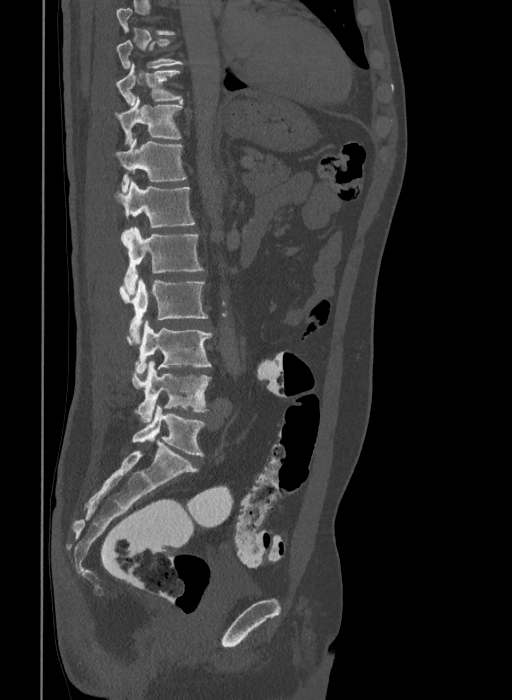 Computed tomography of the spine; sagittal view
Box edges are left/top/right/bottom in pixels.
Labels in this scan begin with T9 at the top and end with L6 at the bottom.
The labels name a sixth lumbar vertebra for this spine: L6, after L5.
| vertebra | x1 | y1 | x2 | y2 |
|---|---|---|---|---|
| T9 | 116 | 38 | 184 | 68 |
| T10 | 115 | 64 | 182 | 105 |
| T11 | 115 | 97 | 182 | 144 |
| T12 | 114 | 139 | 185 | 192 |
| L1 | 115 | 181 | 194 | 227 |
| L2 | 121 | 226 | 204 | 293 |
| L3 | 119 | 278 | 208 | 343 |
| L4 | 126 | 320 | 212 | 373 |
| L5 | 131 | 361 | 210 | 421 |
| L6 | 132 | 406 | 204 | 456 |